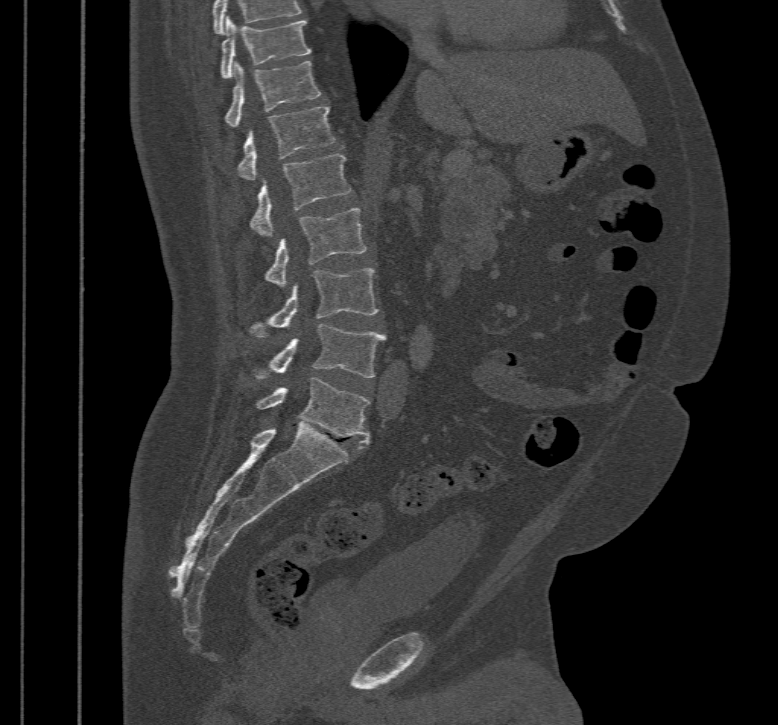

CT spine; sagittal view; 778x725 px. Bounding boxes as [x1, y1, x2, y2] in pixel coordinates. The highest labeled vertebra in this scan is T10; the lowest is L5. The labeled vertebrae in this slice are: T10 at [220, 17, 311, 78], T11 at [225, 60, 321, 128], T12 at [237, 105, 335, 179], L1 at [248, 153, 350, 236], L2 at [263, 209, 367, 284], L3 at [248, 268, 379, 336], L4 at [254, 324, 385, 380], L5 at [255, 377, 370, 448].